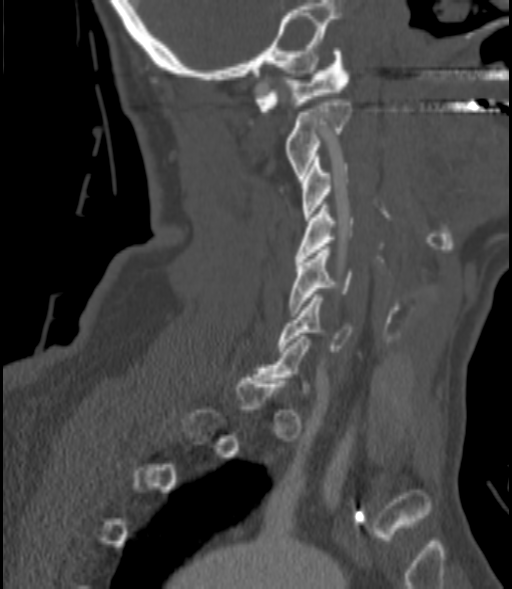 Computed tomography of the spine; 200 mm wide; sagittal view. Box edges are left/top/right/bottom in pixels.
A vertebra gets a box only on the slices from the first to the last where its cross-section is at least a third of its largest; on a slice outside that range it gets none.
| vertebra | x1 | y1 | x2 | y2 |
|---|---|---|---|---|
| C1 | 256 | 48 | 349 | 111 |
| C2 | 285 | 99 | 351 | 178 |
| C3 | 303 | 157 | 348 | 220 |
| C4 | 294 | 205 | 353 | 261 |
| C5 | 290 | 246 | 352 | 313 |
| C6 | 277 | 294 | 353 | 351 |